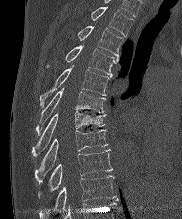 Spine CT; sagittal view; 182x219 px

Each box given as x1,y1,x2,y2.
Vertebra bounding boxes:
- T2: x1=91, y1=7, x2=132, y2=36
- T3: x1=78, y1=26, x2=123, y2=56
- T4: x1=48, y1=45, x2=118, y2=76
- T5: x1=40, y1=66, x2=109, y2=106
- T6: x1=36, y1=89, x2=105, y2=134
- T7: x1=32, y1=111, x2=105, y2=156
- T8: x1=35, y1=130, x2=107, y2=179
- T9: x1=39, y1=149, x2=112, y2=194
- T10: x1=39, y1=175, x2=115, y2=218